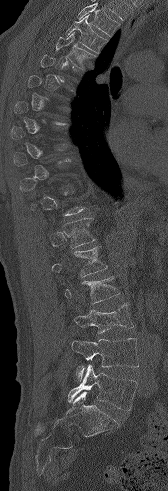

Computed tomography of the spine; image 168 mm wide; sagittal view; Bone window (WL 400, WW 1800)

Box edges are left/top/right/bottom in pixels. Each vertebra is boxed only on the slices from the first to the last where its cross-section reaches a third of its largest, so a slice outside that range leaves it unboxed. Where the top of the scan cuts through a vertebra, that vertebra gets no label or box. The labeled vertebrae in this slice are: L5 at left=68, top=365, right=137, bottom=410, L4 at left=72, top=338, right=139, bottom=380, L3 at left=73, top=303, right=134, bottom=333, L2 at left=65, top=276, right=120, bottom=304, L1 at left=52, top=246, right=107, bottom=277, T12 at left=62, top=217, right=95, bottom=248, T4 at left=56, top=32, right=95, bottom=69, T3 at left=65, top=15, right=106, bottom=52.